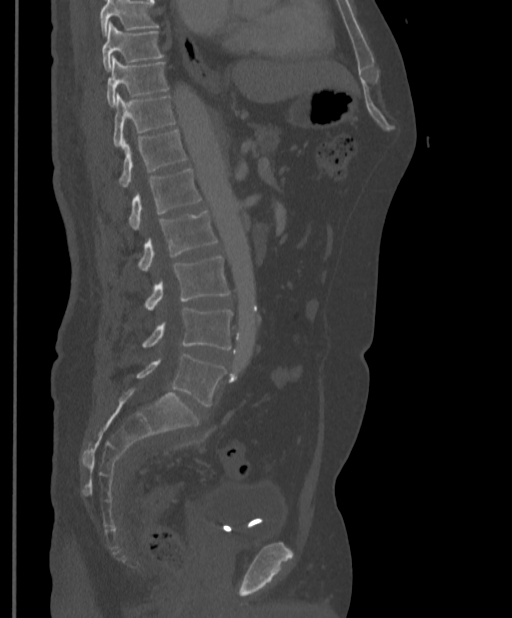 Spine computed tomography. sagittal view. W/L 1800/400 HU. 397 mm across the image. 512x618 px

Box edges are left/top/right/bottom in pixels.
Where the top of the scan cuts through a vertebra, that vertebra gets no label or box.
L5: left=137, top=353, right=226, bottom=407
L4: left=142, top=308, right=232, bottom=350
L3: left=144, top=257, right=231, bottom=310
L2: left=138, top=210, right=218, bottom=271
L1: left=129, top=168, right=201, bottom=230
T12: left=119, top=129, right=187, bottom=187
T11: left=113, top=93, right=176, bottom=146
T10: left=107, top=57, right=169, bottom=106
T9: left=102, top=22, right=163, bottom=71